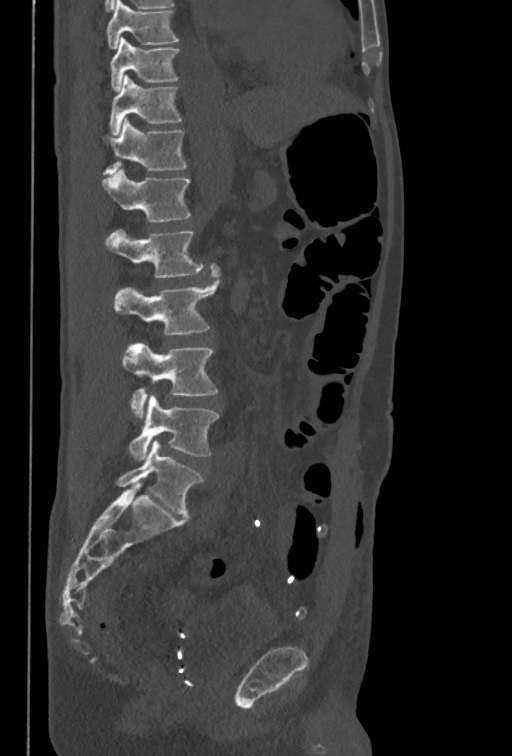

CT, spine — sagittal view

Box values are [left, top, right, bottom] in pixels.
This scan's labels start at T10 at the top and end at L5 at the bottom.
{"vertebrae":{"T10":[109,37,179,91],"T11":[109,75,182,135],"T12":[100,117,186,174],"L1":[101,170,190,222],"L2":[105,229,202,277],"L3":[112,263,221,335],"L4":[123,342,218,416],"L5":[128,395,218,460]}}